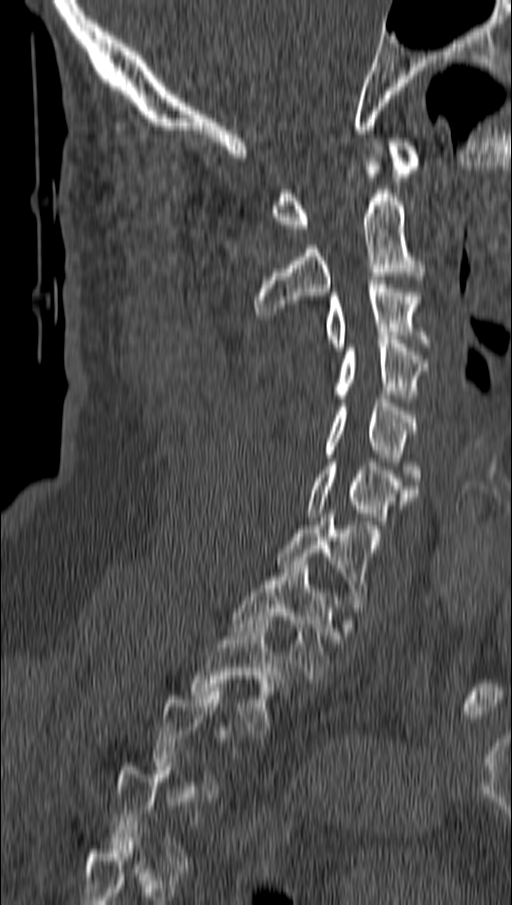 Computed tomography of the spine · sagittal view · 512x905 px

Boxes: x1 y1 x2 y2 (pixel coords, space-separated).
A vertebra is boxed only from the first to the last slice where its cross-section is at least a third of its largest; slices outside that range leave it without a box.
Vertebra bounding boxes:
- T2: 191 620 285 734
- T1: 232 561 335 679
- C7: 276 514 373 607
- C6: 308 462 417 540
- C5: 323 399 420 485
- C4: 333 336 427 402
- C3: 323 280 430 351
- C2: 254 154 424 315
- C1: 273 138 420 232